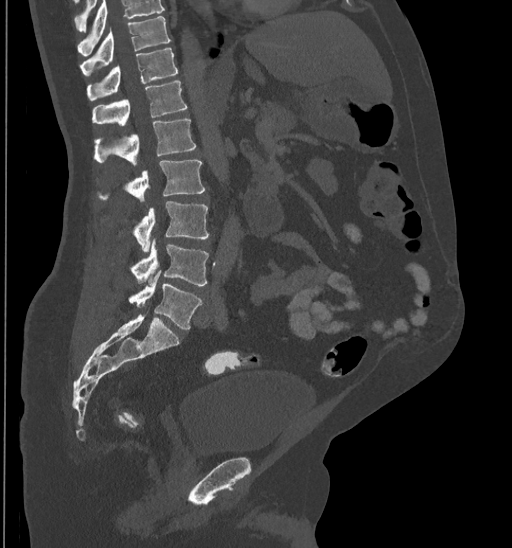 Spine computed tomography — sagittal view — 512x548 px
Boxes below are [x1, y1, x2, y2] in pixels.
Where the top of the scan cuts through a vertebra, that vertebra gets no label or box.
{"vertebrae":{"T10":[79,16,171,76],"T11":[87,48,178,101],"T12":[92,81,187,125],"L1":[94,119,195,165],"L2":[100,159,205,200],"L3":[133,201,208,252],"L4":[131,238,208,285],"L5":[128,271,201,330]}}